Spine computed tomography — sagittal view — W/L 1800/400 HU — scan covers 10 annotated vertebrae
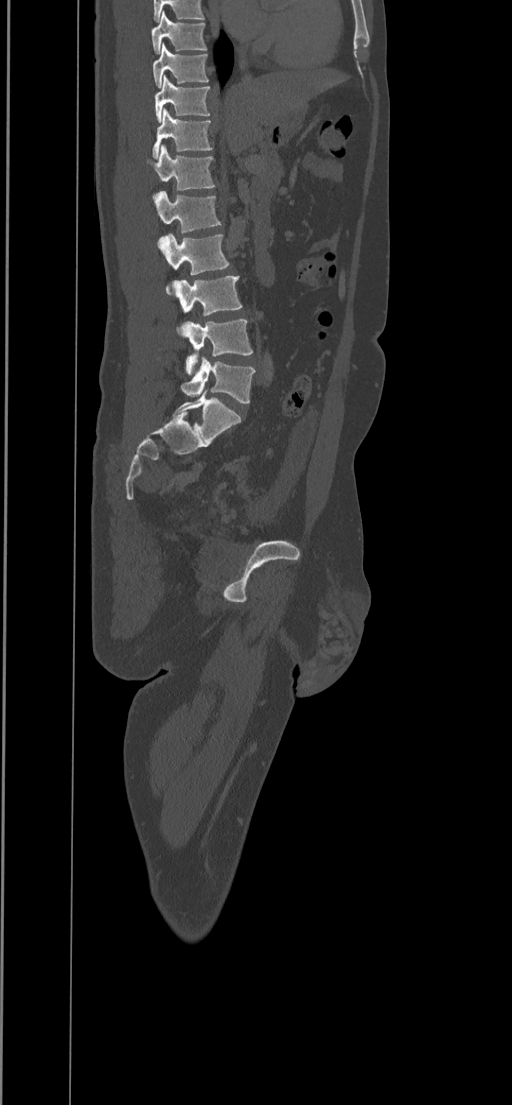 Each box given as x1,y1,x2,y2.
Labels in this scan begin with T8 at the top and end with L5 at the bottom.
Vertebra bounding boxes:
- T8: x1=151, y1=12, x2=207, y2=53
- T9: x1=152, y1=44, x2=208, y2=87
- T10: x1=154, y1=75, x2=210, y2=122
- T11: x1=152, y1=108, x2=212, y2=159
- T12: x1=147, y1=144, x2=215, y2=199
- L1: x1=154, y1=191, x2=221, y2=233
- L2: x1=158, y1=234, x2=229, y2=295
- L3: x1=173, y1=276, x2=242, y2=336
- L4: x1=181, y1=319, x2=253, y2=375
- L5: x1=180, y1=357, x2=255, y2=402